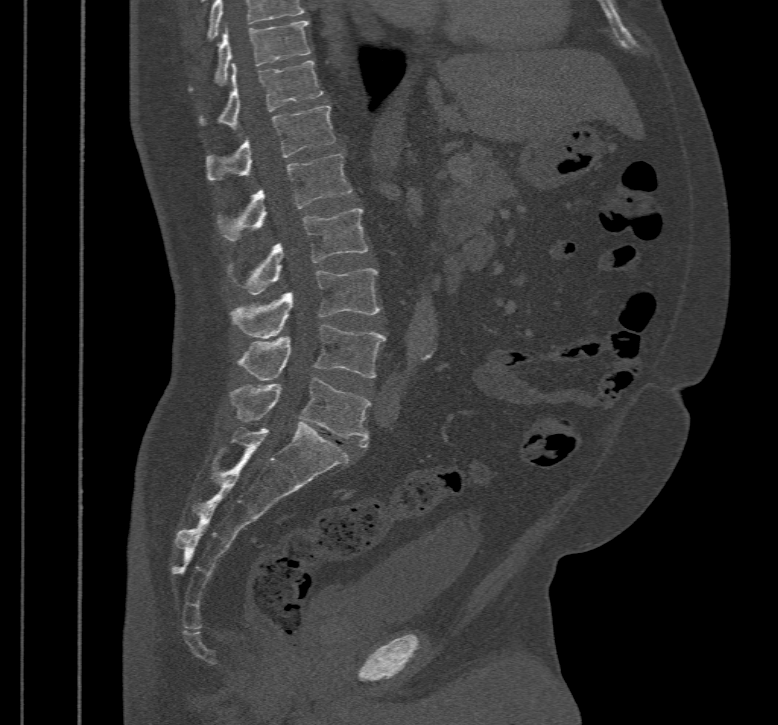
CT spine — sagittal view

Labels in this scan begin with T10 at the top and end with L5 at the bottom.
<vertebrae><v name="L5" x1="230" y1="377" x2="370" y2="448"/><v name="L4" x1="239" y1="324" x2="385" y2="380"/><v name="L3" x1="230" y1="268" x2="381" y2="338"/><v name="L2" x1="228" y1="209" x2="367" y2="294"/><v name="L1" x1="219" y1="154" x2="352" y2="241"/><v name="T12" x1="207" y1="105" x2="335" y2="179"/><v name="T11" x1="201" y1="60" x2="323" y2="129"/><v name="T10" x1="190" y1="20" x2="311" y2="89"/></vertebrae>